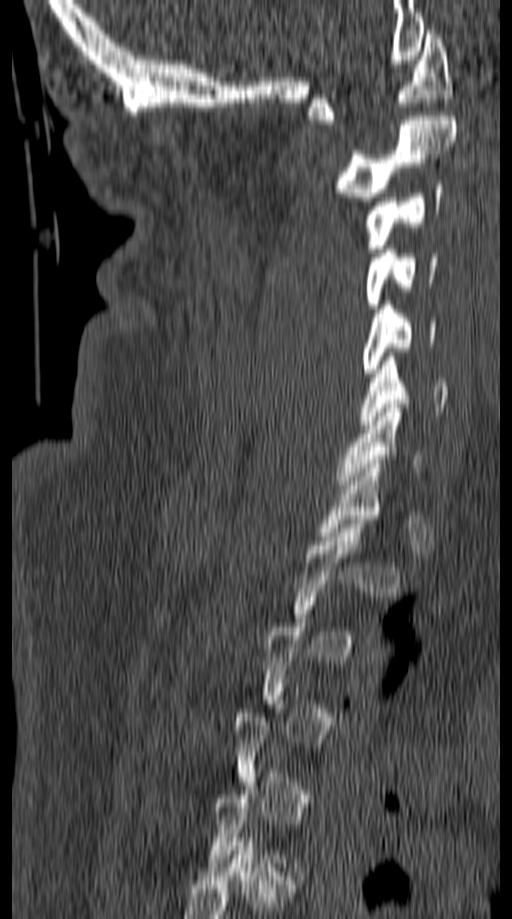

CT spine — sagittal view — 512x919 px
Box values are [left, top, right, bottom] in pixels.
A vertebra is boxed only from the first to the last slice where its cross-section is at least a third of its largest; slices outside that range leave it without a box.
{"vertebrae":{"C1":[309,30,454,124],"C2":[335,116,457,201],"C3":[365,185,443,252],"C4":[365,249,437,308],"C5":[362,301,436,377],"C6":[359,357,447,424],"C7":[334,404,425,489]}}